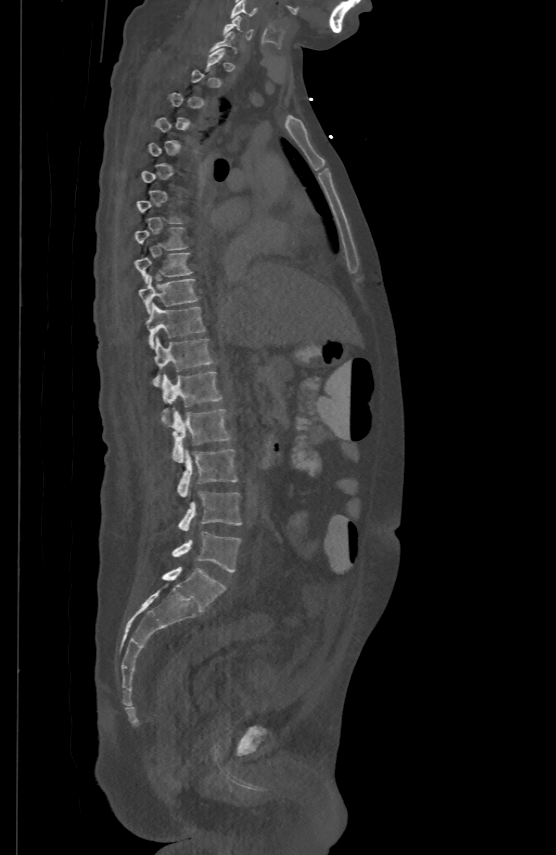
CT. sagittal view. Bone window (WL 400, WW 1800). 556x855 px
Box edges are left/top/right/bottom in pixels.
A vertebra gets a box only on the slices from the first to the last where its cross-section is at least a third of its largest; on a slice outside that range it gets none.
Vertebra bounding boxes:
- L5: left=173, top=532, right=240, bottom=572
- L4: left=178, top=491, right=241, bottom=530
- L3: left=177, top=450, right=237, bottom=496
- L2: left=173, top=407, right=230, bottom=462
- L1: left=162, top=371, right=221, bottom=422
- T12: left=153, top=336, right=214, bottom=385
- T11: left=145, top=303, right=205, bottom=346
- T10: left=139, top=274, right=198, bottom=312
- T9: left=135, top=252, right=192, bottom=282
- T8: left=135, top=226, right=187, bottom=249
- C6: left=224, top=14, right=252, bottom=38
- C5: left=230, top=0, right=256, bottom=17